CT, spine — image 357 mm wide — sagittal plane, index 180
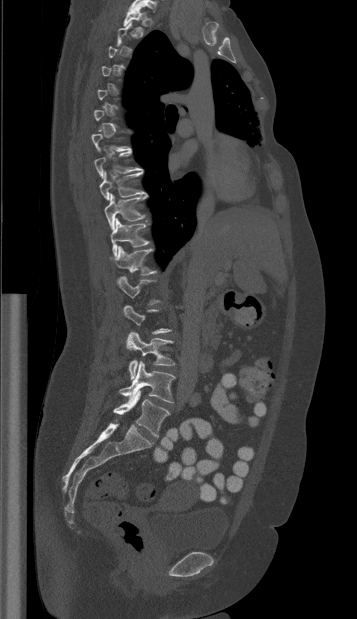 Each box given as x1,y1,x2,y2.
A vertebra is boxed only from the first to the last slice where its cross-section is at least a third of its largest; slices outside that range leave it without a box.
| vertebra | x1 | y1 | x2 | y2 |
|---|---|---|---|---|
| L5 | 113 | 390 | 170 | 436 |
| L4 | 119 | 361 | 175 | 402 |
| L3 | 127 | 331 | 175 | 379 |
| T12 | 110 | 246 | 156 | 275 |
| T11 | 110 | 219 | 149 | 255 |
| T10 | 104 | 194 | 147 | 229 |
| T9 | 99 | 171 | 148 | 200 |
| T1 | 123 | 3 | 145 | 29 |